Spine computed tomography · Sagittal slice 131/230 · 230 mm across the image · W/L 1800/400 HU
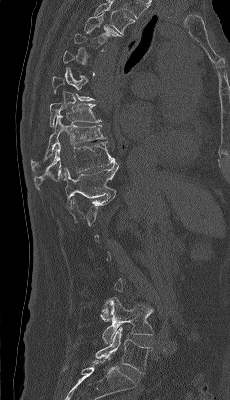

Each box given as x1,y1,x2,y2.
Each vertebra is boxed only on the slices from the first to the last where its cross-section reaches a third of its largest, so a slice outside that range leaves it unboxed.
In this scan, the topmost labeled vertebra is T4 and the lowest is L5.
| vertebra | x1 | y1 | x2 | y2 |
|---|---|---|---|---|
| T4 | 84 | 13 | 121 | 43 |
| T8 | 50 | 103 | 101 | 127 |
| T9 | 31 | 115 | 106 | 172 |
| T10 | 34 | 141 | 116 | 189 |
| T11 | 63 | 163 | 118 | 210 |
| L4 | 102 | 297 | 153 | 343 |
| L5 | 95 | 327 | 152 | 373 |